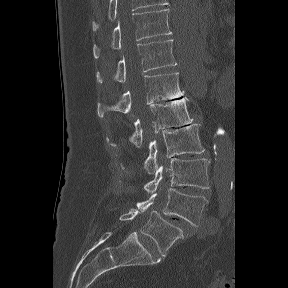
Spine computed tomography. sagittal view. Bone window (WL 400, WW 1800). 288x288 px
Each vertebra maps to its box as [x1, y1, x2, y2], the pixel coordinates of its top-left and bottom-right corners.
In these labels the spine has an L6, a sixth lumbar vertebra below L5.
{"vertebrae":{"L6":[119,208,187,256],"L5":[136,188,208,226],"L4":[144,158,211,193],"L3":[120,123,204,174],"L2":[106,97,192,148],"L1":[97,72,184,117],"T12":[96,39,177,82],"T11":[93,9,172,58]}}